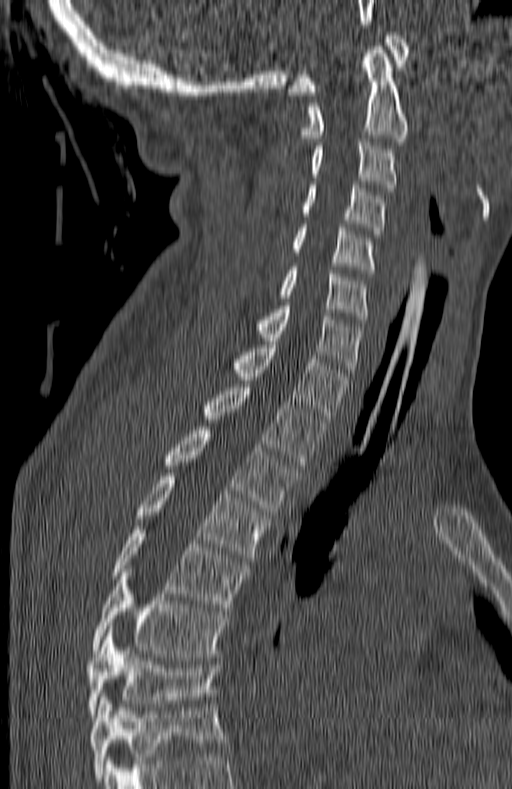
CT — sagittal view — bone window
The highest labeled vertebra in this scan is C1; the lowest is T7.
<vertebrae><v name="T7" x1="86" y1="629" x2="217" y2="714"/><v name="T6" x1="92" y1="569" x2="225" y2="657"/><v name="T5" x1="112" y1="526" x2="245" y2="611"/><v name="T4" x1="137" y1="473" x2="270" y2="561"/><v name="T3" x1="166" y1="427" x2="296" y2="515"/><v name="T2" x1="206" y1="384" x2="324" y2="468"/><v name="T1" x1="234" y1="341" x2="349" y2="422"/><v name="C7" x1="260" y1="302" x2="361" y2="376"/><v name="C6" x1="280" y1="267" x2="367" y2="323"/><v name="C5" x1="294" y1="224" x2="375" y2="273"/><v name="C4" x1="302" y1="181" x2="384" y2="234"/><v name="C3" x1="310" y1="142" x2="395" y2="191"/><v name="C2" x1="302" y1="46" x2="407" y2="141"/><v name="C1" x1="287" y1="32" x2="408" y2="95"/></vertebrae>